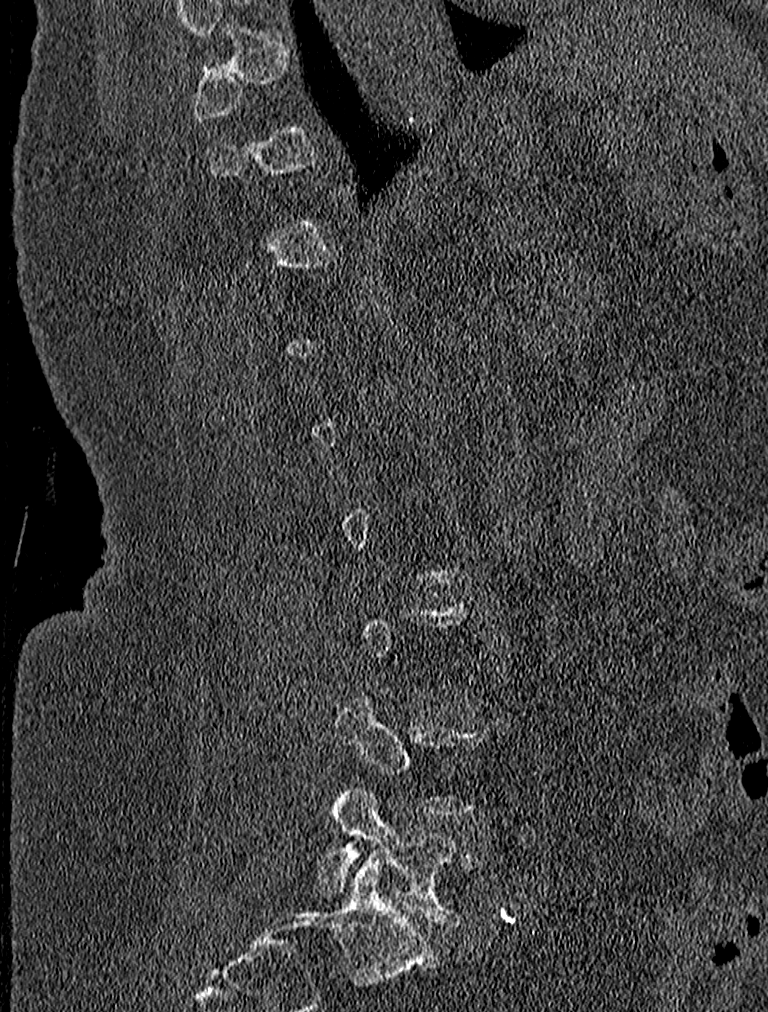 CT, spine · sagittal view · W/L 1800/400 HU
Each box is [x1, y1, x2, y2] in pixels: top-left corner, then bottom-right corner.
A vertebra is boxed only from the first to the last slice where its cross-section is at least a third of its largest; slices outside that range leave it without a box.
{"vertebrae":{"L4":[334,696,489,817],"L5":[317,787,485,925]}}